CT spine — sagittal view — bone-window reconstruction — scan covers 11 annotated vertebrae — 187 mm across the image
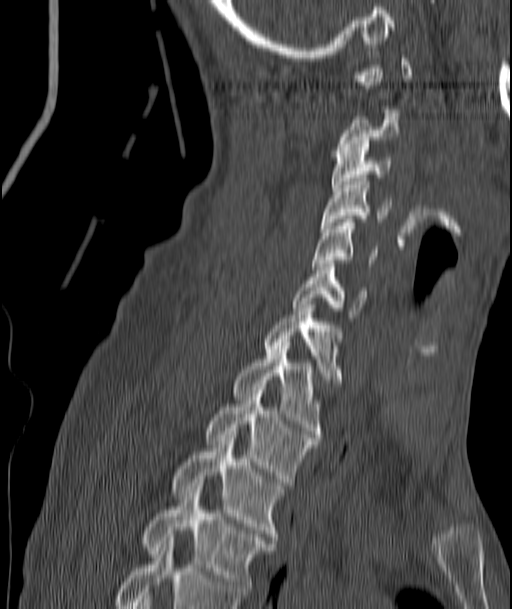

Box edges are left/top/right/bottom in pixels.
A vertebra is boxed only from the first to the last slice where its cross-section is at least a third of its largest; slices outside that range leave it without a box.
C3: left=332, top=144, right=391, bottom=191
C4: left=321, top=178, right=391, bottom=228
C5: left=313, top=219, right=378, bottom=266
C6: left=294, top=264, right=367, bottom=317
C7: left=264, top=301, right=339, bottom=382
T1: left=234, top=339, right=320, bottom=437
T2: left=206, top=390, right=315, bottom=485
T3: left=173, top=435, right=282, bottom=543
T4: left=143, top=486, right=274, bottom=595